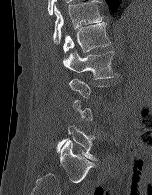

Computed tomography of the spine — sagittal view — W/L 1800/400 HU
A vertebra gets a box only on the slices from the first to the last where its cross-section is at least a third of its largest; on a slice outside that range it gets none.
<vertebrae><v name="T12" x1="53" y1="0" x2="103" y2="44"/><v name="L1" x1="63" y1="22" x2="110" y2="53"/><v name="L2" x1="63" y1="51" x2="117" y2="79"/><v name="L5" x1="56" y1="125" x2="97" y2="160"/></vertebrae>